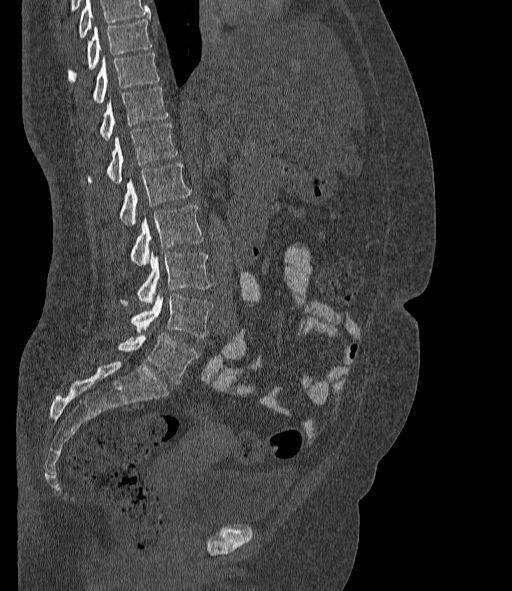

CT. sagittal view
Each box is [x1, y1, x2, y2] in pixels: top-left corner, then bottom-right corner.
Vertebrae that run past the top of the scan are left unlabeled.
In these labels the spine has an L6, a sixth lumbar vertebra below L5.
{"vertebrae":{"T10":[68,19,151,82],"T11":[92,53,159,102],"T12":[99,87,167,140],"L1":[87,124,177,182],"L2":[119,163,190,224],"L3":[130,205,203,265],"L4":[120,253,209,305],"L5":[130,295,212,337],"L6":[118,333,198,383]}}